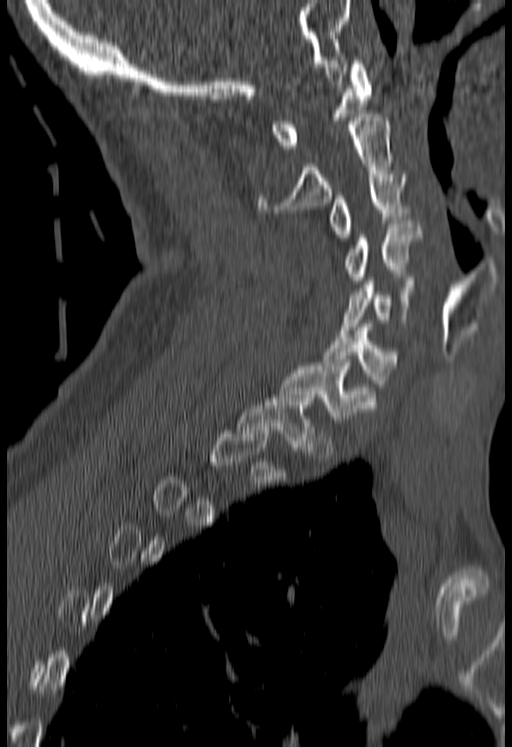

CT; sagittal reformat. In the table, x1 and y1 are a box's top-left corner and x2 and y2 its bottom-right corner, in pixels.
Not every vertebra on this slice has a box: a vertebra is boxed only from the first to the last slice where its cross-section is at least a third of its largest, and this slice is outside that range for at least one of them.
| vertebra | x1 | y1 | x2 | y2 |
|---|---|---|---|---|
| T1 | 237 | 395 | 313 | 454 |
| C7 | 276 | 363 | 375 | 422 |
| C6 | 325 | 324 | 398 | 387 |
| C5 | 342 | 281 | 417 | 333 |
| C4 | 345 | 220 | 424 | 283 |
| C3 | 328 | 174 | 407 | 237 |
| C2 | 257 | 114 | 392 | 212 |
| C1 | 271 | 60 | 370 | 148 |